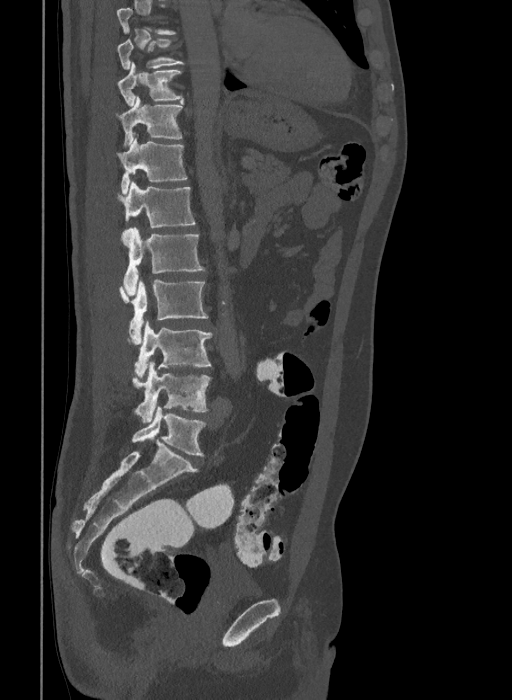
Computed tomography of the spine · the image spans 409 mm across · sagittal view · bone window
Boxes are (x1, y1, x2, y2) in pixels.
The highest labeled vertebra in this scan is T9; the lowest is L6.
In these labels the spine has an L6, a sixth lumbar vertebra below L5.
Vertebra bounding boxes:
- L6: (131, 406, 205, 456)
- L5: (132, 362, 210, 423)
- L4: (127, 320, 212, 379)
- L3: (119, 279, 208, 344)
- L2: (121, 226, 204, 295)
- L1: (118, 181, 195, 228)
- T12: (116, 137, 187, 194)
- T11: (116, 97, 183, 147)
- T10: (118, 63, 183, 106)
- T9: (118, 38, 184, 69)